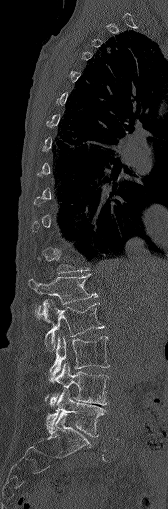
CT spine; sagittal view

Boxes: x1 y1 x2 y2 (pixel coords, space-separated).
A vertebra gets a box only on the slices from the first to the last where its cross-section is at least a third of its largest; on a slice outside that range it gets none.
L5: 46 390 106 436
L4: 47 363 108 406
L3: 50 334 109 381
L2: 42 300 103 349
L1: 29 274 97 307